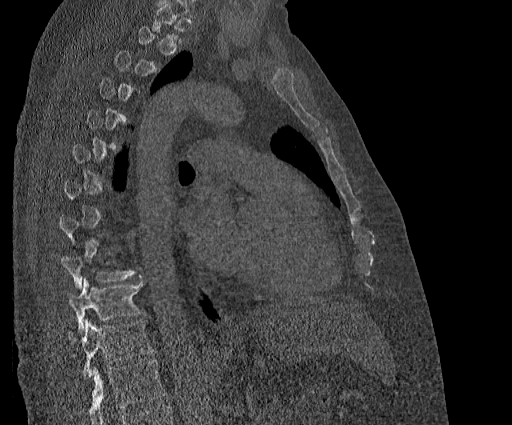 Spine computed tomography · sagittal view · Bone window (WL 400, WW 1800) · 512x425 px · 384 mm across the image
Each vertebra is boxed only on the slices from the first to the last where its cross-section reaches a third of its largest, so a slice outside that range leaves it unboxed.
In this scan, the topmost labeled vertebra is T2 and the lowest is T11.
<vertebrae><v name="T11" x1="68" y1="319" x2="152" y2="378"/><v name="T10" x1="68" y1="275" x2="143" y2="331"/><v name="T9" x1="61" y1="256" x2="136" y2="288"/></vertebrae>